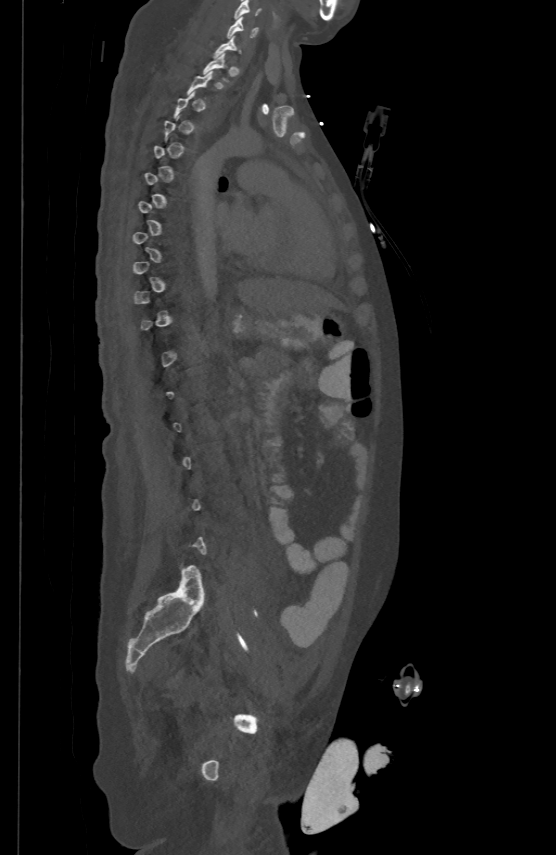 CT. sagittal reformat
Each box given as x1,y1,x2,y2. A vertebra gets a box only on the slices from the first to the last where its cross-section is at least a third of its largest; on a slice outside that range it gets none. Vertebrae labeled: C5 at x1=234, y1=0, x2=261, y2=18, C6 at x1=227, y1=15, x2=258, y2=36.